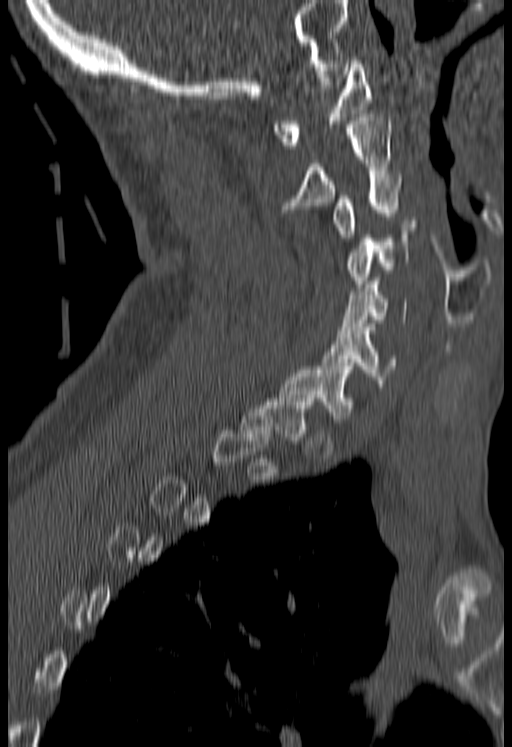

CT, spine; sagittal view
Boxes below are [x1, y1, x2, y2] in pixels.
A vertebra gets a box only on the slices from the first to the last where its cross-section is at least a third of its largest; on a slice outside that range it gets none.
{"vertebrae":{"C6":[322,324,396,387],"C5":[339,281,407,333],"C4":[348,220,416,287],"C3":[334,174,401,241],"C2":[282,114,392,212],"C1":[273,60,370,148]}}